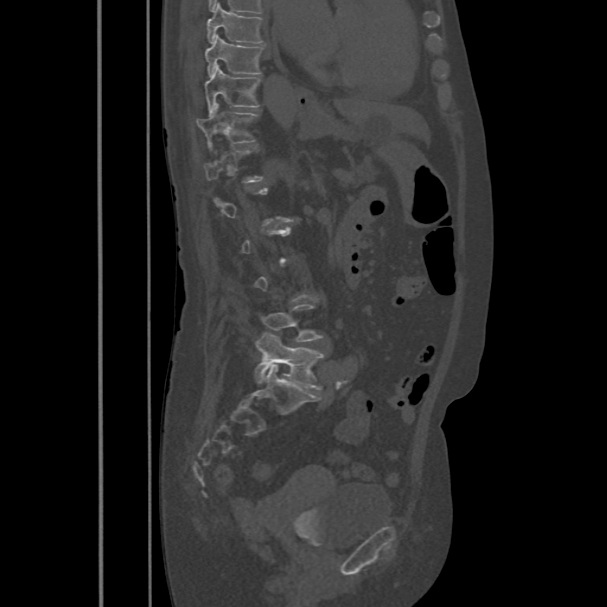

Spine computed tomography — sagittal view — image width 486 mm — bone window

Boxes are (x1, y1, x2, y2) in pixels. A vertebra is boxed only from the first to the last slice where its cross-section is at least a third of its largest; slices outside that range leave it without a box. The labeled vertebrae in this slice are: T8 at (206, 3, 262, 42), T9 at (205, 35, 264, 76), T10 at (204, 65, 260, 112), T11 at (196, 105, 258, 149), L5 at (254, 332, 324, 390).